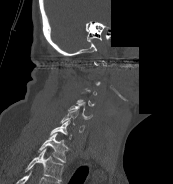
Computed tomography of the spine · sagittal view · a region of this slice is masked with a uniform fill
Bounding boxes as [x1, y1, x2, y2] in pixel coordinates. A vertebra gets a box only on the slices from the first to the last where its cross-section is at least a third of its largest; on a slice outside that range it gets none. This scan's labels start at C1 at the top and end at T1 at the bottom. 4 vertebrae labeled — C5 at [68, 104, 92, 120]; C6 at [60, 110, 84, 132]; C7 at [50, 118, 71, 139]; T1 at [37, 134, 69, 162].